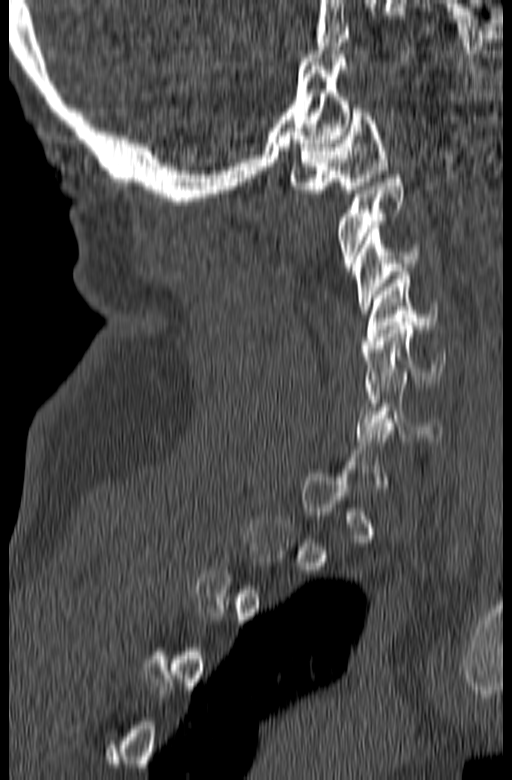

Spine CT; sagittal view; Bone window (WL 400, WW 1800); 512x780 px; 165 mm across the image

Boxes: x1:y1:x2:y2 in pixels.
A vertebra is boxed only from the first to the last slice where its cross-section is at least a third of its largest; slices outside that range leave it without a box.
C1: 290:105:388:193
C2: 336:175:403:271
C3: 353:225:419:313
C4: 362:272:438:348
C5: 362:322:446:391
C6: 356:376:442:441